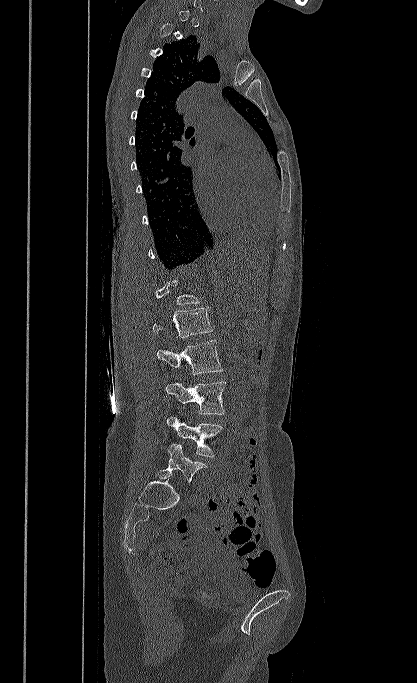 CT, spine · image 417 mm wide · sagittal reformat. Boxes: x1:y1:x2:y2 in pixels. A vertebra is boxed only from the first to the last slice where its cross-section is at least a third of its largest; slices outside that range leave it without a box. The labeled vertebrae in this slice are: L1 at 153:307:213:338, L2 at 157:340:223:375, L3 at 165:381:226:414, L4 at 167:416:223:457, L5 at 157:443:207:485.